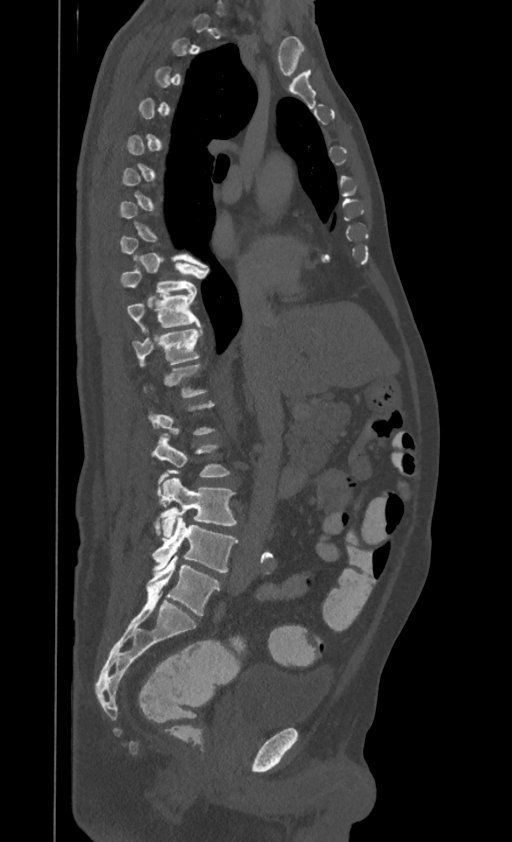
Computed tomography of the spine · sagittal view
Box values are [left, top, right, bottom] in pixels.
A vertebra is boxed only from the first to the last slice where its cross-section is at least a third of its largest; slices outside that range leave it without a box.
This scan's labels start at T1 at the top and end at L4 at the bottom.
{"vertebrae":{"T9":[120,262,204,294],"T10":[127,289,200,331],"T11":[133,327,201,364],"L2":[152,433,230,484],"L3":[154,477,236,538],"L4":[153,516,237,572]}}